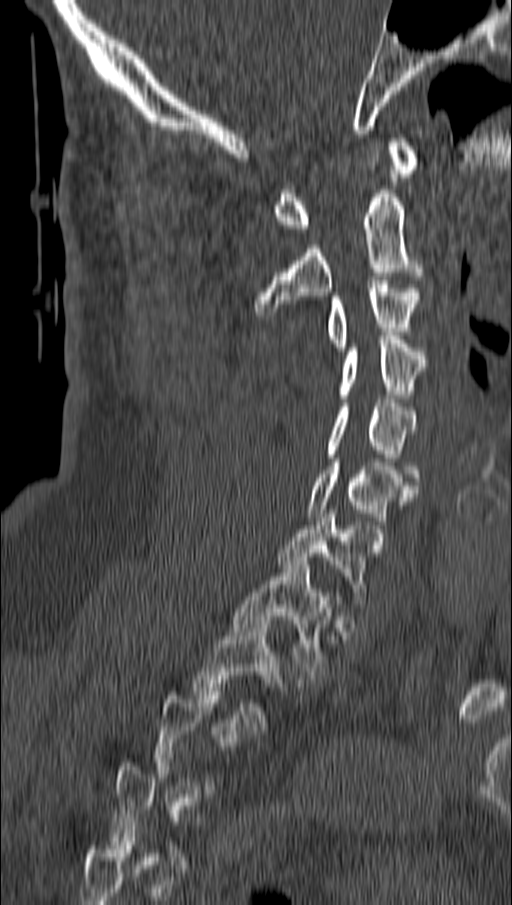

Computed tomography of the spine — sagittal reformat — bone window
Box edges are left/top/right/bottom in pixels. A vertebra gets a box only on the slices from the first to the last where its cross-section is at least a third of its largest; on a slice outside that range it gets none. 9 vertebrae labeled — C1 at left=273, top=138, right=419, bottom=232; C2 at left=254, top=190, right=424, bottom=315; C3 at left=327, top=280, right=420, bottom=351; C4 at left=339, top=336, right=427, bottom=398; C5 at left=327, top=399, right=417, bottom=481; C6 at left=308, top=458, right=417, bottom=524; C7 at left=276, top=510, right=370, bottom=596; T1 at left=232, top=561, right=332, bottom=675; T2 at left=194, top=620, right=278, bottom=726.